CT, spine; sagittal plane, index 287; 467 mm across the image; Bone window (WL 400, WW 1800)
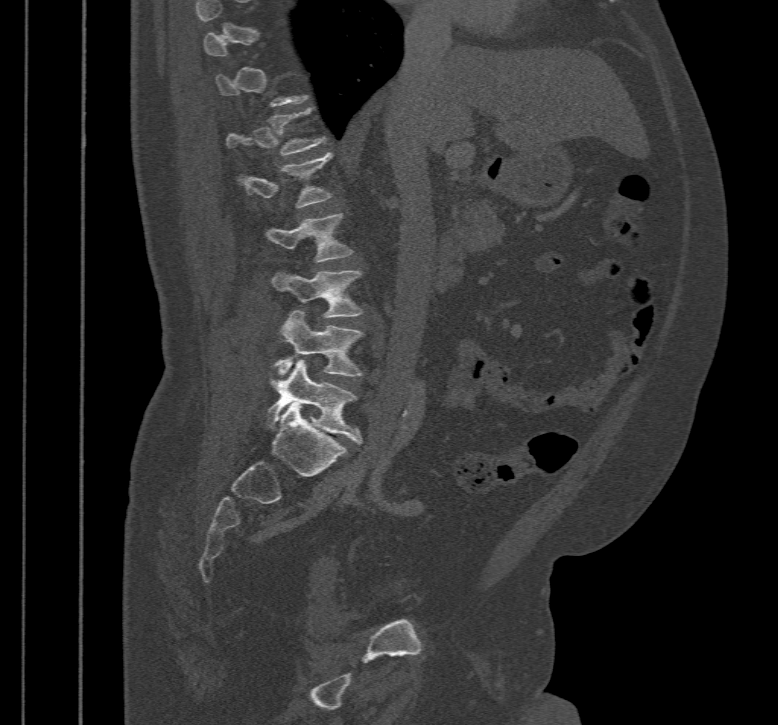
Boxes: x1:y1:x2:y2 in pixels.
Not every vertebra on this slice has a box: a vertebra is boxed only from the first to the last slice where its cross-section is at least a third of its largest, and this slice is outside that range for at least one of them.
Vertebra bounding boxes:
- L1: 242:152:332:208
- L2: 266:214:352:261
- L3: 272:270:362:318
- L4: 272:310:362:376
- L5: 266:360:362:443